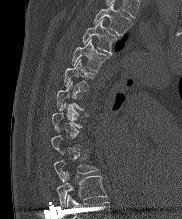

Computed tomography of the spine; sagittal reformat; bone window; 182 mm wide. Coordinates as <box>x1,y1,x2,y2</box>.
Not every vertebra on this slice has a box: a vertebra is boxed only from the first to the last slice where its cross-section is at least a third of its largest, and this slice is outside that range for at least one of them.
In this scan, the topmost labeled vertebra is T2 and the lowest is T10.
T2: <box>93,3,131,35</box>
T3: <box>82,20,119,54</box>
T4: <box>72,38,108,71</box>
T5: <box>64,59,95,90</box>
T6: <box>56,81,84,110</box>
T9: <box>54,154,98,181</box>
T10: <box>57,172,106,207</box>